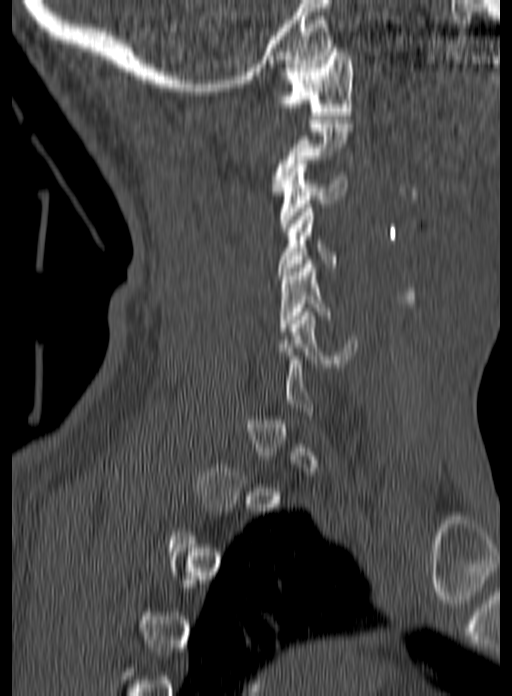 Spine CT — sagittal view — 512x696 px
Boxes: x1:y1:x2:y2 in pixels.
Each vertebra is boxed only on the slices from the first to the last where its cross-section reaches a third of its largest, so a slice outside that range leaves it unboxed.
C1: 277:48:352:119
C3: 279:160:346:231
C4: 278:208:339:275
C5: 279:260:331:331
C6: 274:308:357:367